CT, spine · Sagittal slice 282/512 · bone window · 512x919 px
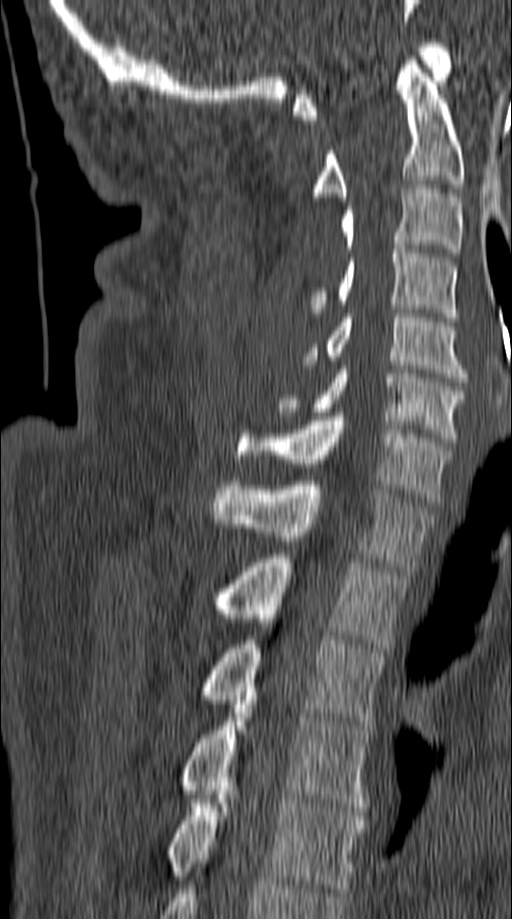

Box values are [left, top, right, bottom] in pixels.
{"vertebrae":{"C1":[293,39,452,119],"C2":[314,56,464,201],"C3":[341,185,461,257],"C4":[310,245,457,321],"C5":[300,314,466,381],"C6":[277,365,464,441],"C7":[236,412,450,502],"T1":[213,481,433,570],"T2":[214,554,406,652],"T3":[201,640,385,725],"T4":[180,696,371,811],"T5":[169,795,364,892]}}